Spine computed tomography · sagittal reformat
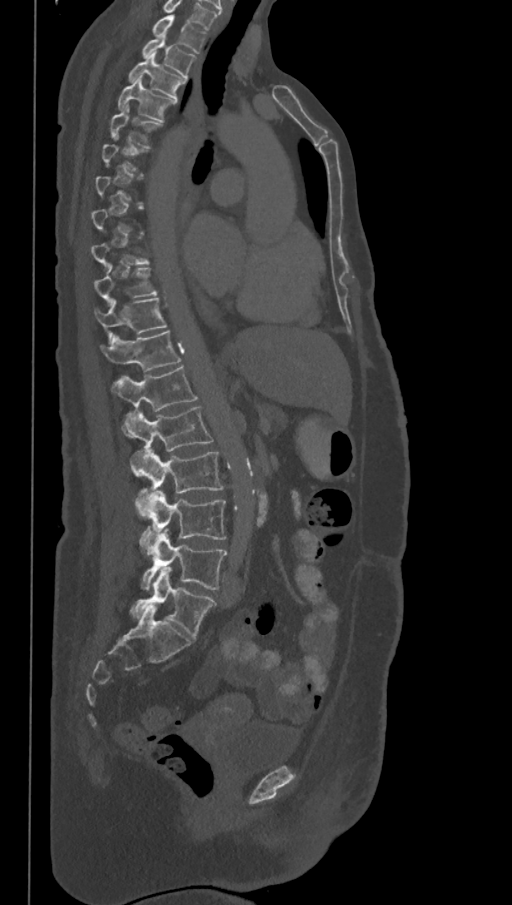
Boxes: x1:y1:x2:y2 in pixels. Each vertebra is boxed only on the slices from the first to the last where its cross-section reaches a third of its largest, so a slice outside that range leaves it unboxed. In this scan, the topmost labeled vertebra is T1 and the lowest is L6. In these labels the spine has an L6, a sixth lumbar vertebra below L5. The labeled vertebrae in this slice are: T1 at 151:15:206:53, T2 at 142:36:195:78, T3 at 128:54:187:98, T4 at 117:78:177:122, T5 at 110:105:162:148, T10 at 94:264:157:303, T11 at 94:298:167:341, T12 at 100:331:181:372, L1 at 111:366:198:436, L2 at 122:406:213:451, L3 at 130:448:224:516, L4 at 140:491:226:551, L5 at 142:532:227:590, L6 at 131:567:216:639.